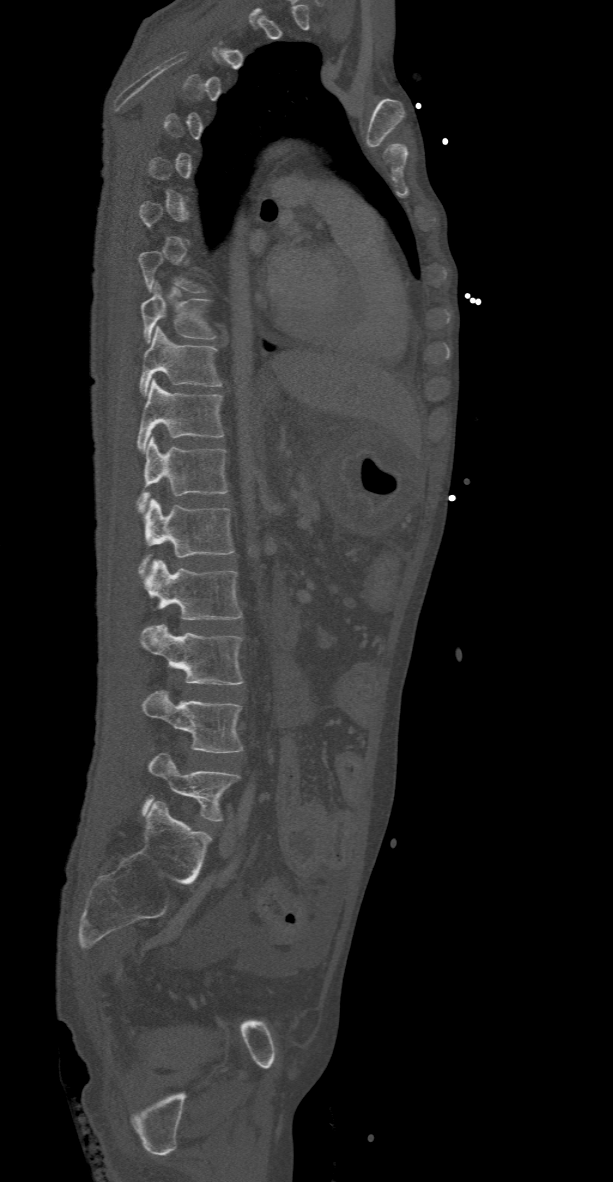

Spine CT — sagittal view — Bone window (WL 400, WW 1800). Coordinates as <box>x1,y1,x2,y2</box>.
A vertebra is boxed only from the first to the last slice where its cross-section is at least a third of its largest; slices outside that range leave it without a box.
T9: <box>141,282,217,343</box>
T10: <box>138,326,222,395</box>
T11: <box>137,379,224,453</box>
T12: <box>135,436,227,512</box>
L1: <box>140,499,234,575</box>
L2: <box>145,559,242,620</box>
L3: <box>140,624,243,685</box>
L4: <box>141,691,243,753</box>
L5: <box>143,752,239,821</box>